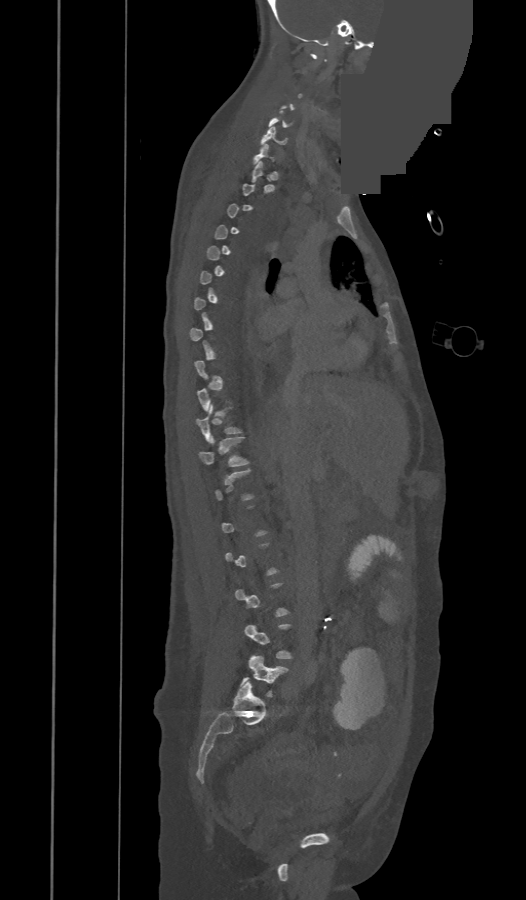
CT, spine · sagittal view · part of the image has been replaced by a constant value

Columns x1, y1, x2, y2 give each box's top-left and bottom-right pixels.
Each vertebra is boxed only on the slices from the first to the last where its cross-section reaches a third of its largest, so a slice outside that range leaves it unboxed.
| vertebra | x1 | y1 | x2 | y2 |
|---|---|---|---|---|
| L5 | 241 | 656 | 286 | 696 |
| T12 | 199 | 437 | 247 | 466 |
| T11 | 197 | 405 | 240 | 441 |
| C7 | 254 | 143 | 274 | 164 |
| C6 | 261 | 127 | 286 | 145 |